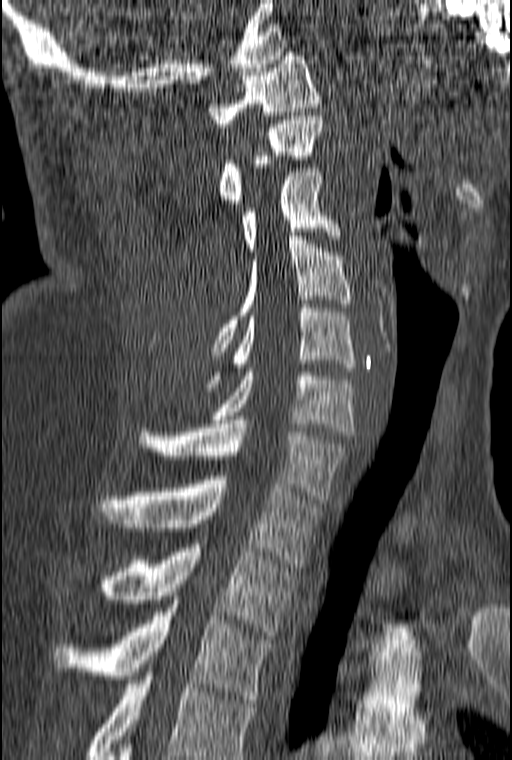 CT spine — sagittal view
Boxes: x1:y1:x2:y2 in pixels. Labels in this scan begin with C1 at the top and end with T3 at the bottom. Vertebrae labeled: C1 at 208:52:321:127, C2 at 219:116:322:207, C3 at 241:168:342:255, C4 at 210:236:352:355, C5 at 209:304:356:387, C6 at 210:368:355:435, C7 at 138:420:349:503, T1 at 100:476:318:567, T2 at 104:544:295:635, T3 at 51:604:272:703.